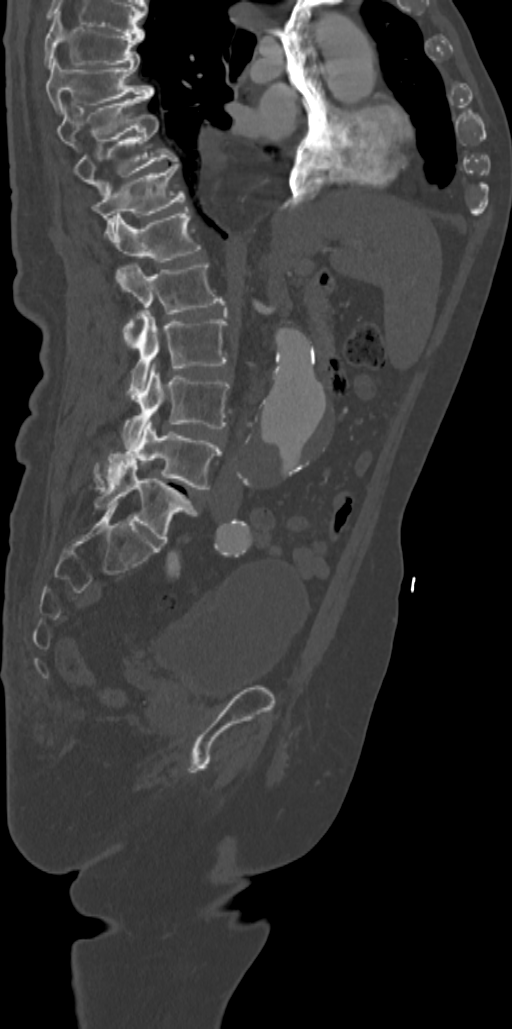 Spine computed tomography. sagittal view. Bone window (WL 400, WW 1800)
Each box is [x1, y1, x2, y2] in pixels: top-left corner, then bottom-right corner.
{"vertebrae":{"T7":[43,13,144,66],"T8":[46,56,153,114],"T9":[57,94,150,147],"T10":[73,112,178,197],"T11":[93,162,184,242],"T12":[114,207,201,262],"L1":[115,263,225,345],"L2":[127,310,226,399],"L3":[123,364,229,448],"L4":[94,420,222,489],"L5":[94,463,196,543]}}